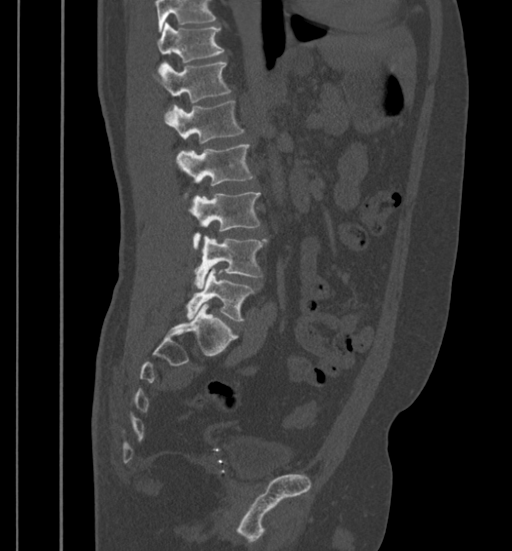 CT spine — sagittal view — Bone window (WL 400, WW 1800)
Coordinates as <box>x1,y1,x2,y2</box>. A vertebra cut off by the top edge of the scan is not labeled and has no box. Vertebrae labeled: L5 at <box>186,268,255,320</box>, L4 at <box>194,236,267,288</box>, L3 at <box>188,192,261,248</box>, L2 at <box>176,144,253,185</box>, L1 at <box>164,101,244,144</box>, T12 at <box>153,62,230,103</box>, T11 at <box>156,23,223,69</box>.